Spine computed tomography. Sagittal slice 236/512. 9 vertebrae labeled in this scan
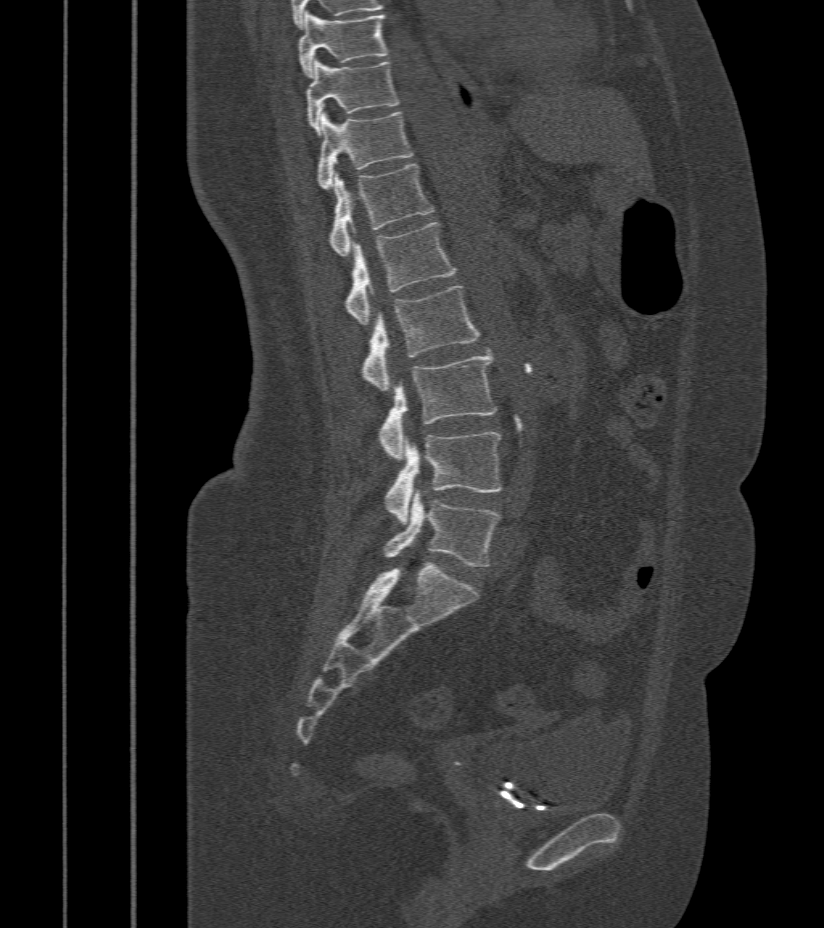 <vertebrae><v name="T9" x1="298" y1="11" x2="388" y2="76"/><v name="T10" x1="306" y1="59" x2="398" y2="134"/><v name="T11" x1="315" y1="111" x2="413" y2="190"/><v name="T12" x1="330" y1="165" x2="435" y2="256"/><v name="L1" x1="344" y1="223" x2="456" y2="326"/><v name="L2" x1="362" y1="287" x2="479" y2="392"/><v name="L3" x1="380" y1="351" x2="496" y2="460"/><v name="L4" x1="386" y1="433" x2="501" y2="524"/><v name="L5" x1="383" y1="491" x2="501" y2="566"/></vertebrae>